Spine CT; sagittal view
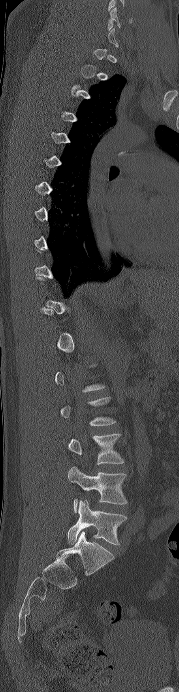
Each box given as x1,y1,x2,y2. A vertebra gets a box only on the slices from the first to the last where its cross-section is at least a third of its largest; on a slice outside that range it gets none. Vertebrae labeled: C6 at x1=108, y1=7, x2=132, y2=29, L3 at x1=68, y1=433, x2=124, y2=464, L4 at x1=68, y1=467, x2=127, y2=512, L5 at x1=67, y1=500, x2=126, y2=545.